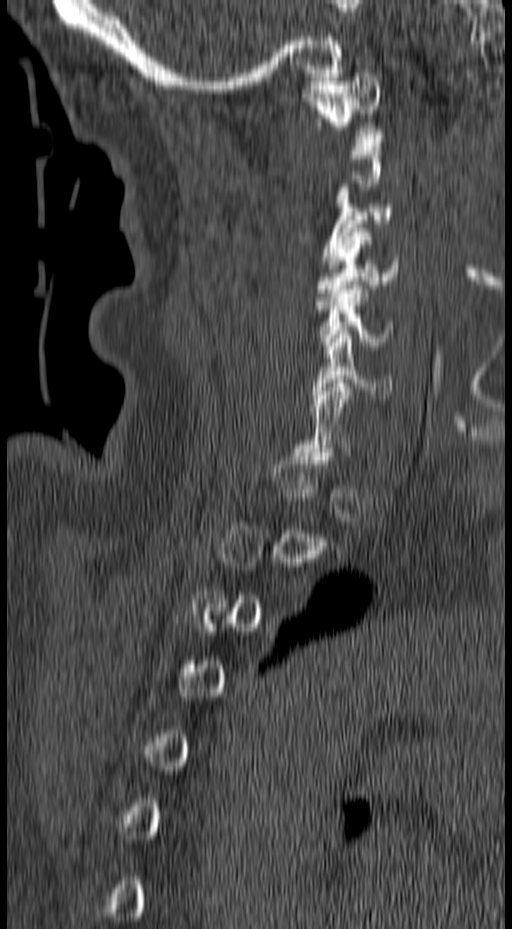 Spine computed tomography. sagittal view. bone window. 512x929 px

Box edges are left/top/right/bottom in pixels.
Each vertebra is boxed only on the slices from the first to the last where its cross-section reaches a third of its largest, so a slice outside that range leaves it unboxed.
C1: left=300, top=69, right=384, bottom=142
C3: left=322, top=183, right=392, bottom=264
C4: left=314, top=228, right=400, bottom=301
C5: left=315, top=285, right=393, bottom=345
C6: left=311, top=334, right=392, bottom=398